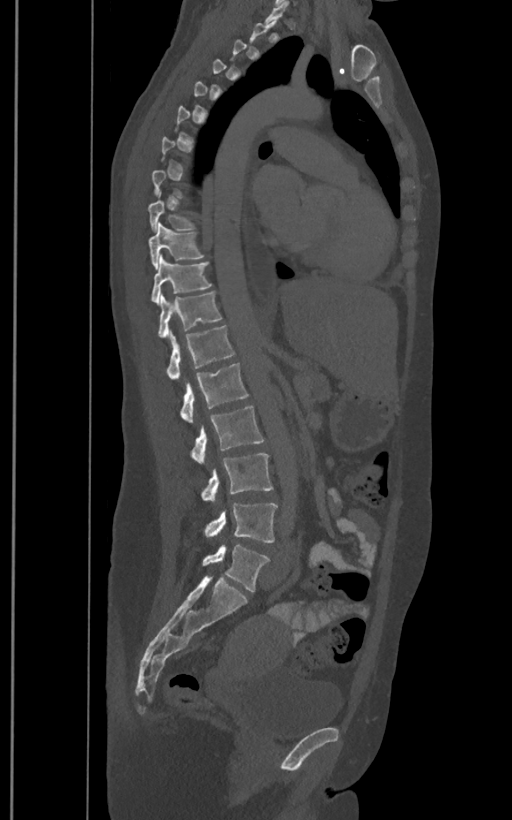

Spine CT · sagittal view · 512x820 px
Not every vertebra on this slice has a box: a vertebra is boxed only from the first to the last slice where its cross-section is at least a third of its largest, and this slice is outside that range for at least one of them.
The labels name a sixth lumbar vertebra for this spine: L6, after L5.
<vertebrae><v name="T9" x1="148" y1="192" x2="195" y2="232"/><v name="T10" x1="148" y1="222" x2="205" y2="267"/><v name="T11" x1="151" y1="255" x2="211" y2="303"/><v name="T12" x1="157" y1="291" x2="222" y2="337"/><v name="L1" x1="165" y1="325" x2="234" y2="379"/><v name="L2" x1="180" y1="363" x2="248" y2="423"/><v name="L3" x1="191" y1="406" x2="265" y2="463"/><v name="L4" x1="201" y1="453" x2="273" y2="500"/><v name="L5" x1="203" y1="503" x2="278" y2="542"/><v name="L6" x1="202" y1="545" x2="269" y2="591"/></vertebrae>